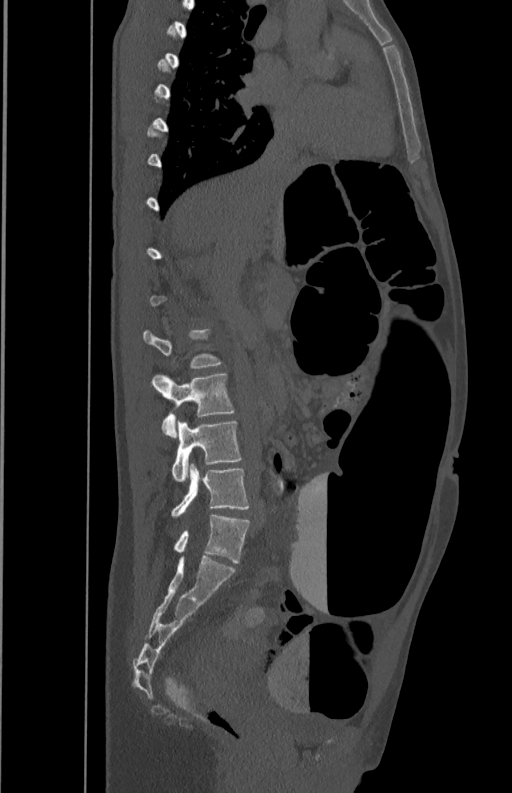

Spine CT · sagittal view · bone window

Each row gives a vertebra's box as x1, y1, x2, y2 in pixels: top-left corner, then bottom-right corner.
A vertebra gets a box only on the slices from the first to the last where its cross-section is at least a third of its largest; on a slice outside that range it gets none.
| vertebra | x1 | y1 | x2 | y2 |
|---|---|---|---|---|
| L3 | 152 | 373 | 234 | 437 |
| L4 | 171 | 421 | 242 | 481 |
| L5 | 171 | 463 | 249 | 516 |